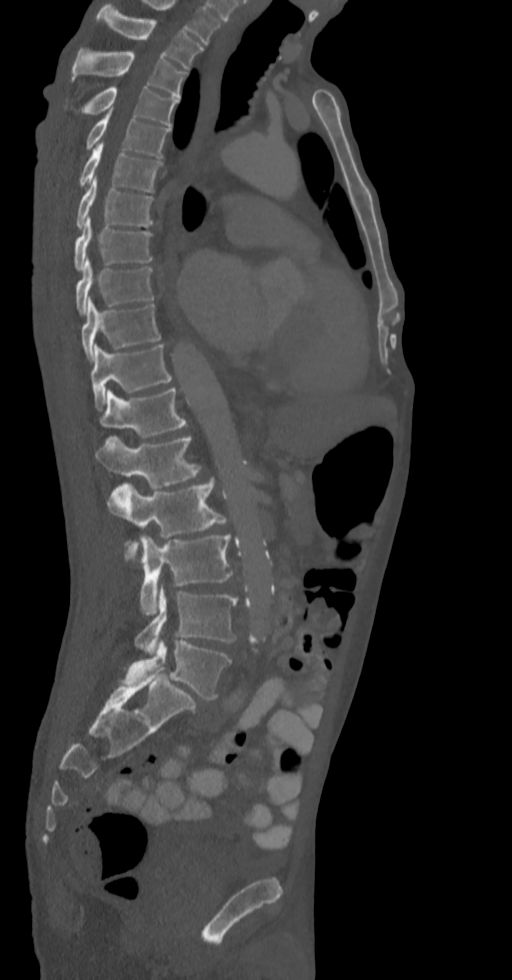
Computed tomography of the spine — sagittal reformat — bone window

Each box given as x1,y1,x2,y2.
| vertebra | x1 | y1 | x2 | y2 |
|---|---|---|---|---|
| T2 | 96 | 5 | 203 | 69 |
| T3 | 70 | 49 | 186 | 98 |
| T4 | 79 | 87 | 179 | 125 |
| T5 | 85 | 110 | 169 | 157 |
| T6 | 79 | 142 | 162 | 191 |
| T7 | 76 | 177 | 153 | 229 |
| T8 | 74 | 216 | 153 | 270 |
| T9 | 76 | 258 | 154 | 314 |
| T10 | 82 | 299 | 160 | 362 |
| T11 | 91 | 344 | 172 | 409 |
| T12 | 99 | 387 | 186 | 438 |
| L1 | 94 | 436 | 201 | 488 |
| L2 | 108 | 478 | 233 | 561 |
| L3 | 125 | 535 | 232 | 615 |
| L4 | 135 | 585 | 236 | 654 |
| L5 | 121 | 640 | 232 | 700 |